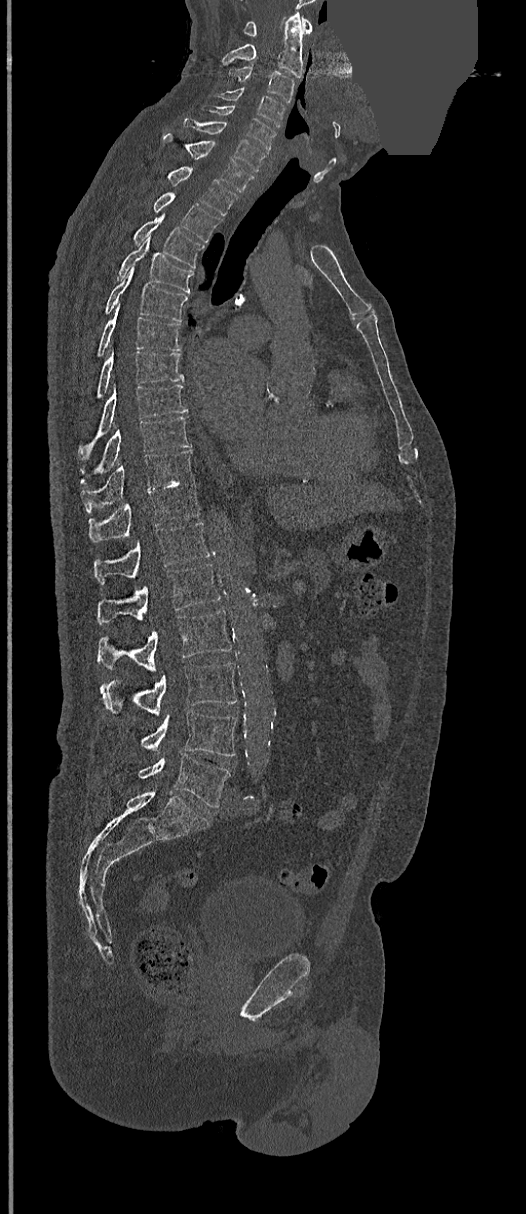 CT spine; sagittal reformat; Bone window (WL 400, WW 1800); 526x1214 px; a region is masked with a constant gray value

<vertebrae><v name="L5" x1="139" y1="754" x2="230" y2="808"/><v name="L4" x1="142" y1="711" x2="236" y2="756"/><v name="L3" x1="102" y1="663" x2="237" y2="715"/><v name="L2" x1="97" y1="610" x2="232" y2="670"/><v name="L1" x1="97" y1="564" x2="220" y2="623"/><v name="T12" x1="94" y1="521" x2="211" y2="583"/><v name="T11" x1="88" y1="480" x2="200" y2="542"/><v name="T10" x1="81" y1="450" x2="193" y2="513"/><v name="T9" x1="81" y1="417" x2="192" y2="483"/><v name="T8" x1="78" y1="384" x2="187" y2="456"/><v name="T7" x1="97" y1="351" x2="183" y2="398"/><v name="T6" x1="97" y1="309" x2="180" y2="356"/><v name="T5" x1="104" y1="266" x2="187" y2="322"/><v name="T4" x1="117" y1="239" x2="193" y2="292"/><v name="T3" x1="132" y1="214" x2="204" y2="268"/><v name="T2" x1="153" y1="193" x2="222" y2="242"/><v name="T1" x1="167" y1="167" x2="236" y2="215"/><v name="C7" x1="162" y1="133" x2="253" y2="192"/><v name="C6" x1="184" y1="119" x2="266" y2="172"/><v name="C5" x1="202" y1="106" x2="276" y2="150"/><v name="C4" x1="214" y1="87" x2="285" y2="126"/><v name="C3" x1="229" y1="64" x2="295" y2="103"/><v name="C2" x1="221" y1="13" x2="303" y2="76"/><v name="C1" x1="244" y1="16" x2="311" y2="36"/></vertebrae>